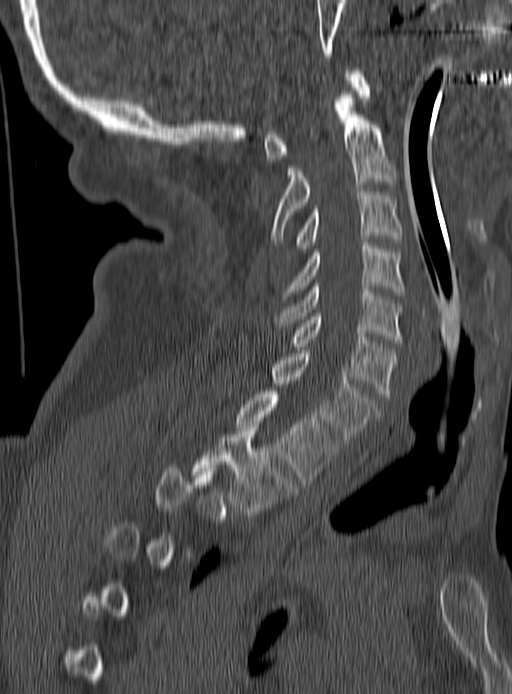
Spine computed tomography — sagittal view — image width 190 mm
Boxes below are [x1, y1, x2, y2] in pixels.
A vertebra gets a box only on the slices from the first to the last where its cross-section is at least a third of its largest; on a slice outside that range it gets none.
{"vertebrae":{"C1":[264,71,369,161],"C2":[271,98,393,242],"C3":[296,189,401,252],"C4":[281,243,404,299],"C5":[272,283,404,343],"C6":[289,313,396,396],"C7":[270,350,377,444],"T1":[235,391,339,484],"T2":[192,424,296,518]}}